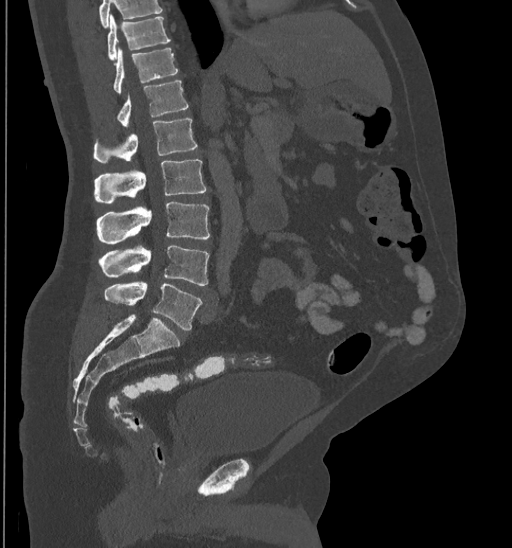 CT, spine — sagittal view
Box values are [left, top, right, bottom] in pixels.
A vertebra cut off by the top edge of the scan is not labeled and has no box.
{"vertebrae":{"T10":[107,15,171,59],"T11":[113,46,178,93],"T12":[116,81,188,127],"L1":[93,119,197,163],"L2":[94,159,206,203],"L3":[98,201,210,243],"L4":[99,246,208,285],"L5":[103,282,201,331]}}